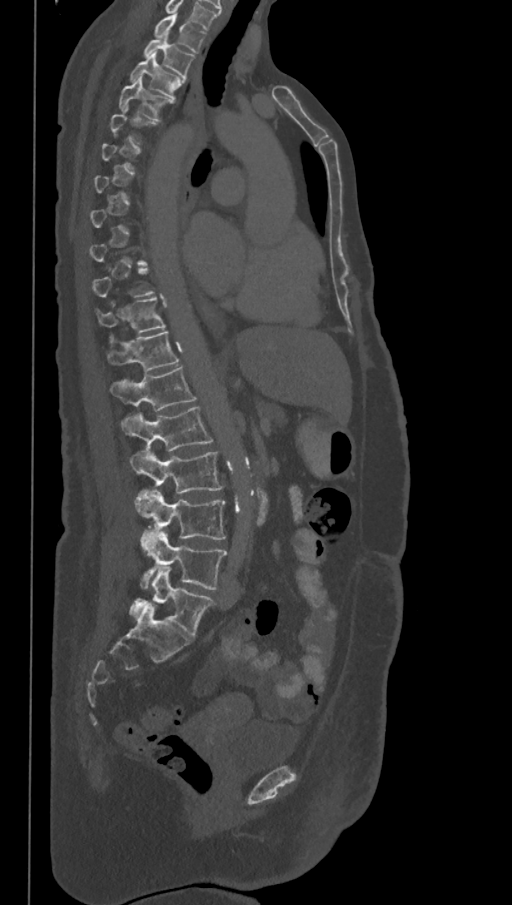

CT, spine. sagittal view. bone-window reconstruction. 512x905 px
Boxes below are [x1, y1, x2, y2] in pixels.
Not every vertebra on this slice has a box: a vertebra is boxed only from the first to the last slice where its cross-section is at least a third of its largest, and this slice is outside that range for at least one of them.
This scan's labels start at T1 at the top and end at L6 at the bottom.
The labels name a sixth lumbar vertebra for this spine: L6, after L5.
{"vertebrae":{"L6":[129,567,214,638],"L5":[140,530,227,589],"L4":[136,490,226,539],"L3":[129,448,223,492],"L2":[121,407,212,451],"L1":[110,367,196,411],"T12":[107,331,178,372],"T11":[97,298,164,332],"T4":[119,78,174,119],"T3":[131,54,184,98],"T2":[143,33,194,77],"T1":[154,14,205,52]}}